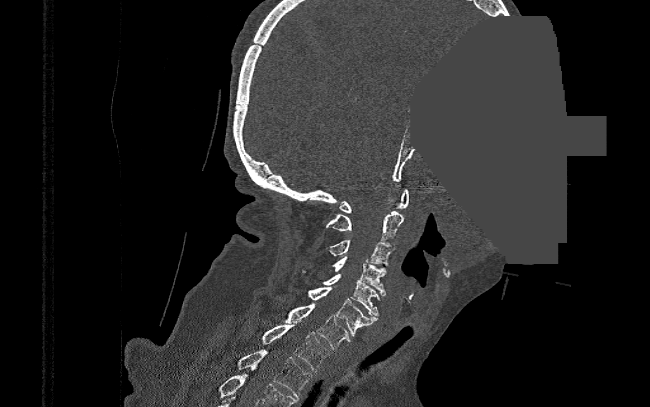

CT · image 390 mm wide · sagittal reformat · W/L 1800/400 HU · a region is masked with a constant gray value
Boxes are given in columns x1, y1, x2, y2, the pixel coordinates of their top-left and bottom-right corners.
| vertebra | x1 | y1 | x2 | y2 |
|---|---|---|---|---|
| C1 | 339 | 189 | 409 | 213 |
| C2 | 326 | 211 | 404 | 240 |
| C3 | 325 | 239 | 395 | 266 |
| C4 | 333 | 256 | 386 | 295 |
| C5 | 302 | 270 | 379 | 315 |
| C6 | 306 | 287 | 377 | 336 |
| C7 | 284 | 303 | 349 | 350 |
| T1 | 260 | 322 | 330 | 371 |
| T2 | 237 | 349 | 311 | 398 |